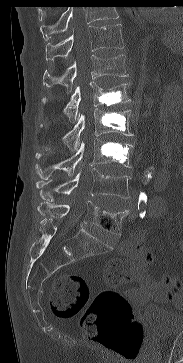

CT spine; sagittal view
Bounding boxes as [x1, y1, x2, y2] in pixel coordinates.
Where the top of the scan cuts through a vertebra, that vertebra gets no label or box.
T11: [46, 24, 124, 60]
T12: [43, 55, 128, 94]
L1: [42, 81, 130, 122]
L2: [39, 108, 133, 150]
L3: [35, 139, 133, 178]
L4: [36, 168, 130, 200]
L5: [37, 201, 129, 235]